Spine computed tomography · sagittal view · Bone window (WL 400, WW 1800)
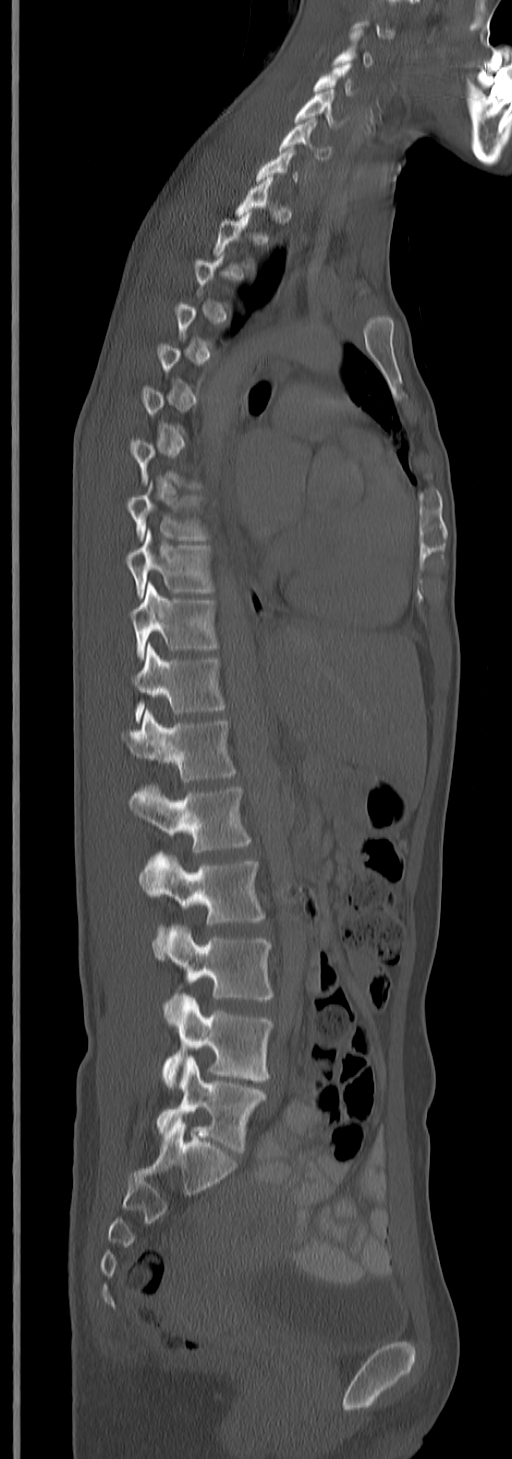
A vertebra is boxed only from the first to the last slice where its cross-section is at least a third of its largest; slices outside that range leave it without a box.
This scan's labels start at C3 at the top and end at L5 at the bottom.
<vertebrae><v name="C3" x1="333" y1="30" x2="374" y2="66"/><v name="C4" x1="314" y1="62" x2="357" y2="96"/><v name="C5" x1="295" y1="89" x2="340" y2="129"/><v name="C6" x1="278" y1="117" x2="330" y2="158"/><v name="T8" x1="126" y1="494" x2="209" y2="541"/><v name="T9" x1="126" y1="531" x2="215" y2="597"/><v name="T10" x1="130" y1="584" x2="217" y2="658"/><v name="T11" x1="132" y1="644" x2="225" y2="723"/><v name="T12" x1="122" y1="709" x2="236" y2="781"/><v name="L1" x1="130" y1="784" x2="250" y2="854"/><v name="L2" x1="138" y1="851" x2="265" y2="960"/><v name="L3" x1="164" y1="924" x2="273" y2="1025"/><v name="L4" x1="161" y1="993" x2="273" y2="1089"/><v name="L5" x1="155" y1="1056" x2="267" y2="1153"/></vertebrae>